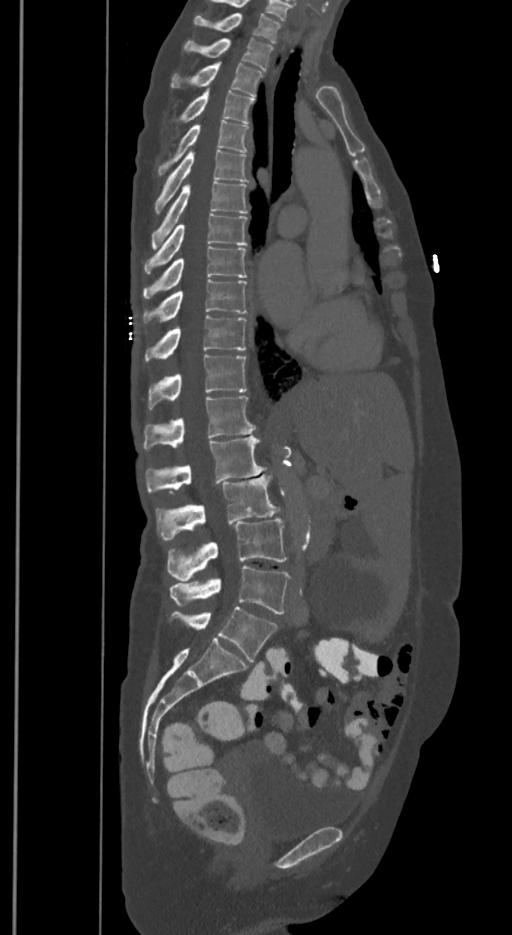

CT spine. sagittal reformat
In these labels the spine has an L6, a sixth lumbar vertebra below L5.
<vertebrae><v name="T1" x1="194" y1="13" x2="281" y2="42"/><v name="T2" x1="184" y1="38" x2="272" y2="71"/><v name="T3" x1="171" y1="63" x2="262" y2="95"/><v name="T4" x1="177" y1="90" x2="253" y2="121"/><v name="T5" x1="158" y1="120" x2="249" y2="174"/><v name="T6" x1="155" y1="149" x2="247" y2="212"/><v name="T7" x1="152" y1="182" x2="247" y2="249"/><v name="T8" x1="145" y1="213" x2="246" y2="273"/><v name="T9" x1="143" y1="246" x2="246" y2="298"/><v name="T10" x1="145" y1="279" x2="246" y2="322"/><v name="T11" x1="145" y1="316" x2="246" y2="361"/><v name="T12" x1="148" y1="354" x2="246" y2="408"/><v name="L1" x1="143" y1="396" x2="255" y2="449"/><v name="L2" x1="146" y1="436" x2="265" y2="493"/><v name="L3" x1="156" y1="474" x2="278" y2="539"/><v name="L4" x1="168" y1="517" x2="285" y2="580"/><v name="L5" x1="169" y1="566" x2="290" y2="614"/><v name="L6" x1="169" y1="607" x2="277" y2="661"/></vertebrae>